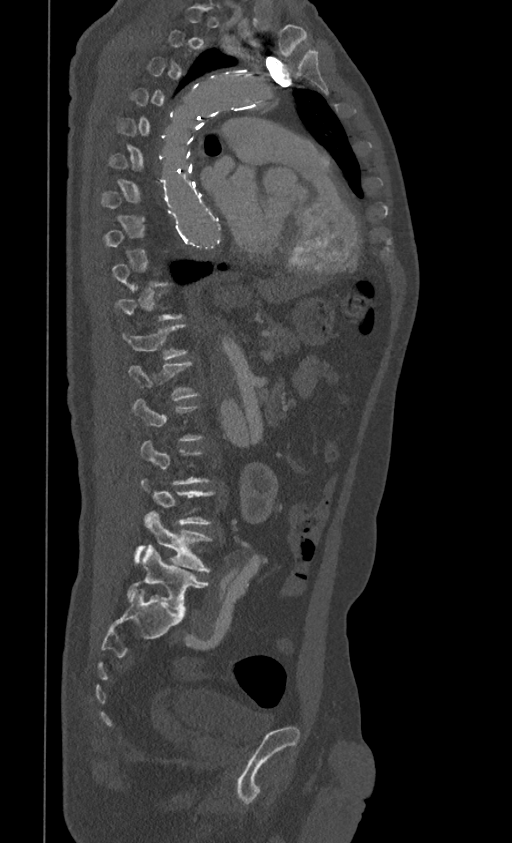 CT spine; sagittal reformat

Boxes are (x1, y1, x2, y2) in pixels.
A vertebra gets a box only on the slices from the first to the last where its cross-section is at least a third of its largest; on a slice outside that range it gets none.
L5: (127, 545, 208, 615)
L4: (135, 512, 211, 572)
T12: (128, 361, 198, 401)
T11: (122, 325, 186, 359)